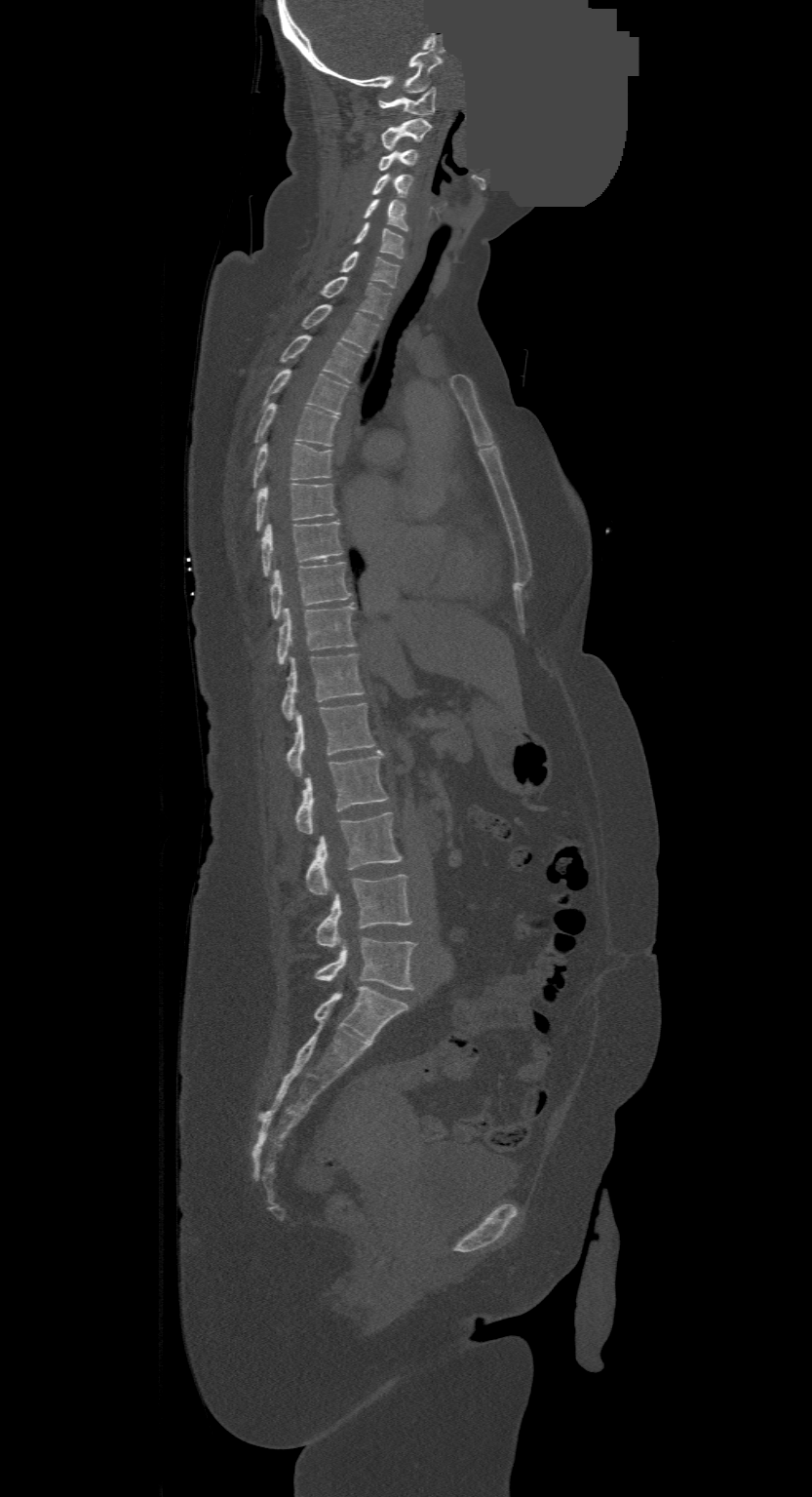

CT spine. the image spans 500 mm across. sagittal view. a region of this slice is masked with a uniform fill
In this scan, the topmost labeled vertebra is C1 and the lowest is L4.
<vertebrae><v name="L4" x1="316" y1="938" x2="414" y2="989"/><v name="L3" x1="318" y1="875" x2="411" y2="947"/><v name="L2" x1="305" y1="813" x2="402" y2="895"/><v name="L1" x1="295" y1="750" x2="388" y2="835"/><v name="T12" x1="288" y1="702" x2="375" y2="776"/><v name="T11" x1="283" y1="653" x2="363" y2="721"/><v name="T10" x1="278" y1="605" x2="355" y2="664"/><v name="T9" x1="270" y1="561" x2="351" y2="618"/><v name="T8" x1="262" y1="521" x2="343" y2="574"/><v name="T7" x1="257" y1="483" x2="335" y2="530"/><v name="T6" x1="253" y1="443" x2="332" y2="486"/><v name="T5" x1="255" y1="404" x2="338" y2="447"/><v name="T4" x1="265" y1="370" x2="348" y2="414"/><v name="T3" x1="281" y1="335" x2="363" y2="383"/><v name="T2" x1="301" y1="304" x2="378" y2="352"/><v name="T1" x1="322" y1="277" x2="391" y2="320"/><v name="C7" x1="341" y1="251" x2="399" y2="287"/><v name="C6" x1="356" y1="223" x2="404" y2="257"/><v name="C5" x1="364" y1="199" x2="406" y2="230"/><v name="C4" x1="371" y1="173" x2="411" y2="194"/><v name="C3" x1="379" y1="150" x2="418" y2="170"/><v name="C2" x1="382" y1="119" x2="431" y2="150"/><v name="C1" x1="379" y1="87" x2="436" y2="115"/></vertebrae>